Spine CT · sagittal reformat · 512x880 px
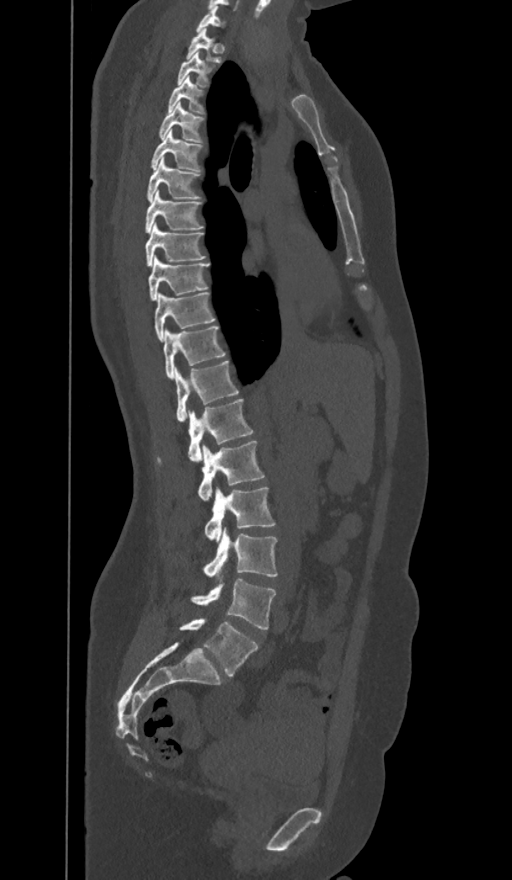
Bounding boxes as [x1, y1, x2, y2] in pixel coordinates.
In these labels the spine has an L6, a sixth lumbar vertebra below L5.
L6: [179, 619, 258, 677]
L5: [191, 579, 275, 630]
L4: [204, 526, 277, 579]
L3: [205, 487, 274, 542]
L2: [198, 440, 264, 500]
L1: [189, 399, 252, 461]
T12: [175, 361, 238, 422]
T11: [163, 327, 225, 380]
T10: [155, 292, 214, 340]
T9: [149, 258, 208, 300]
T8: [145, 223, 204, 265]
T7: [145, 190, 203, 233]
T6: [147, 158, 200, 201]
T5: [151, 129, 202, 170]
T4: [159, 102, 201, 141]
T3: [168, 76, 203, 112]
T2: [178, 52, 208, 86]
T1: [186, 28, 221, 62]
C7: [197, 5, 223, 31]